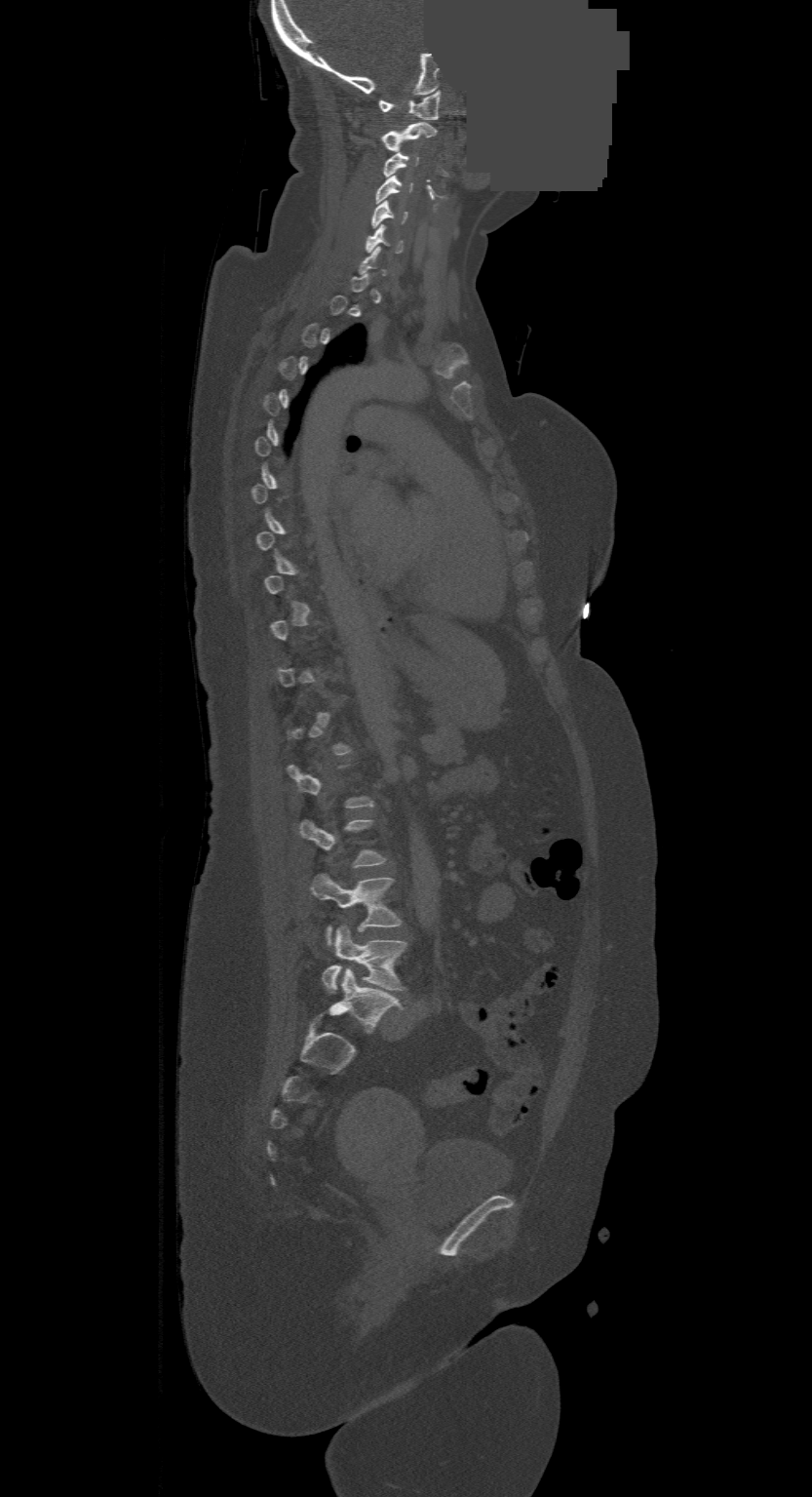
CT spine · sagittal view · 500 mm image width · a region of this slice is masked with a uniform fill
Boxes: x1 y1 x2 y2 (pixel coords, space-separated).
Each vertebra is boxed only on the slices from the first to the last where its cross-section reaches a third of its largest, so a slice outside that range leaves it unboxed.
This scan's labels start at C1 at the top and end at L4 at the bottom.
C1: 379 90 440 120
C2: 382 122 436 150
C3: 384 151 418 177
C4: 376 176 413 203
C5: 371 200 406 227
C6: 365 224 404 253
L3: 311 875 401 945
L4: 322 926 406 993